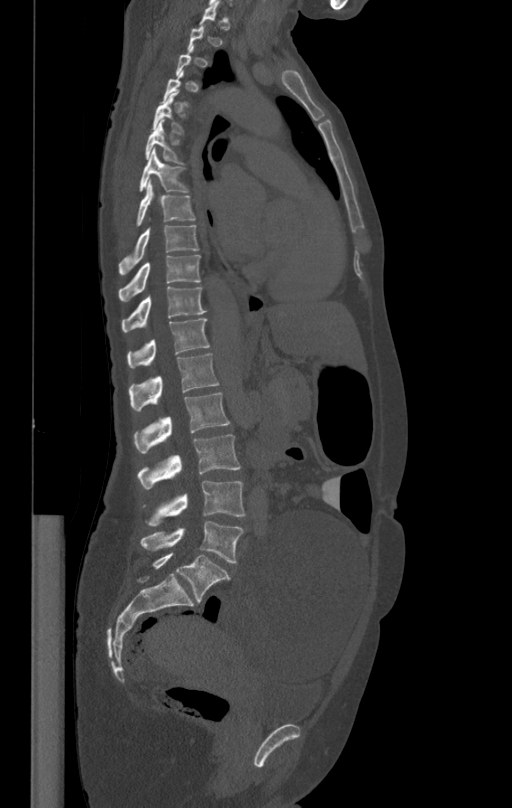

CT spine; sagittal view; W/L 1800/400 HU; 512x808 px

A vertebra gets a box only on the slices from the first to the last where its cross-section is at least a third of its largest; on a slice outside that range it gets none.
<vertebrae><v name="T5" x1="153" y1="93" x2="187" y2="135"/><v name="T6" x1="145" y1="121" x2="184" y2="165"/><v name="T7" x1="138" y1="149" x2="189" y2="191"/><v name="T8" x1="134" y1="182" x2="195" y2="227"/><v name="T9" x1="119" y1="225" x2="199" y2="274"/><v name="T10" x1="118" y1="255" x2="200" y2="301"/><v name="T11" x1="122" y1="286" x2="206" y2="332"/><v name="T12" x1="127" y1="318" x2="210" y2="368"/><v name="L1" x1="129" y1="352" x2="219" y2="411"/><v name="L2" x1="134" y1="393" x2="230" y2="452"/><v name="L3" x1="137" y1="435" x2="240" y2="489"/><v name="L4" x1="143" y1="481" x2="245" y2="526"/><v name="L5" x1="140" y1="520" x2="244" y2="563"/></vertebrae>